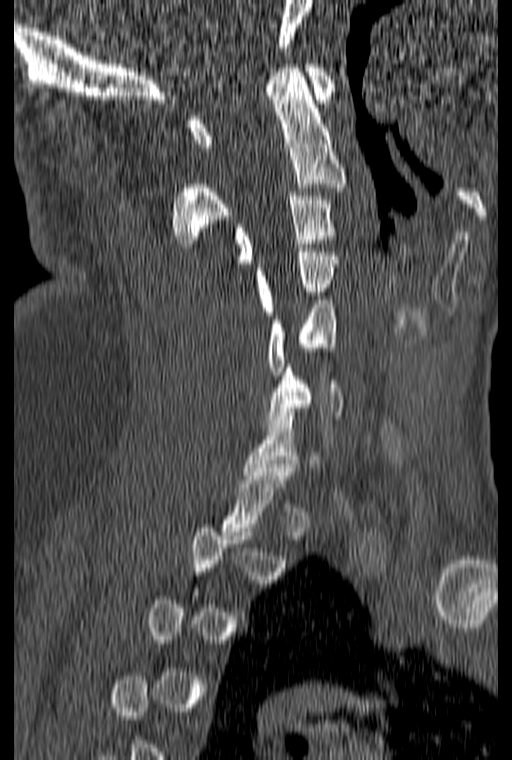 CT, spine. sagittal view. bone window. 512x760 px
Columns x1, y1, x2, y2 give each box's top-left and bottom-right pixels.
Not every vertebra on this slice has a box: a vertebra is boxed only from the first to the last slice where its cross-section is at least a third of its largest, and this slice is outside that range for at least one of them.
| vertebra | x1 | y1 | x2 | y2 |
|---|---|---|---|---|
| C1 | 189 | 64 | 334 | 147 |
| C2 | 172 | 64 | 345 | 247 |
| C3 | 235 | 192 | 335 | 263 |
| C4 | 257 | 248 | 337 | 315 |
| C5 | 267 | 300 | 336 | 379 |
| C6 | 265 | 364 | 344 | 427 |